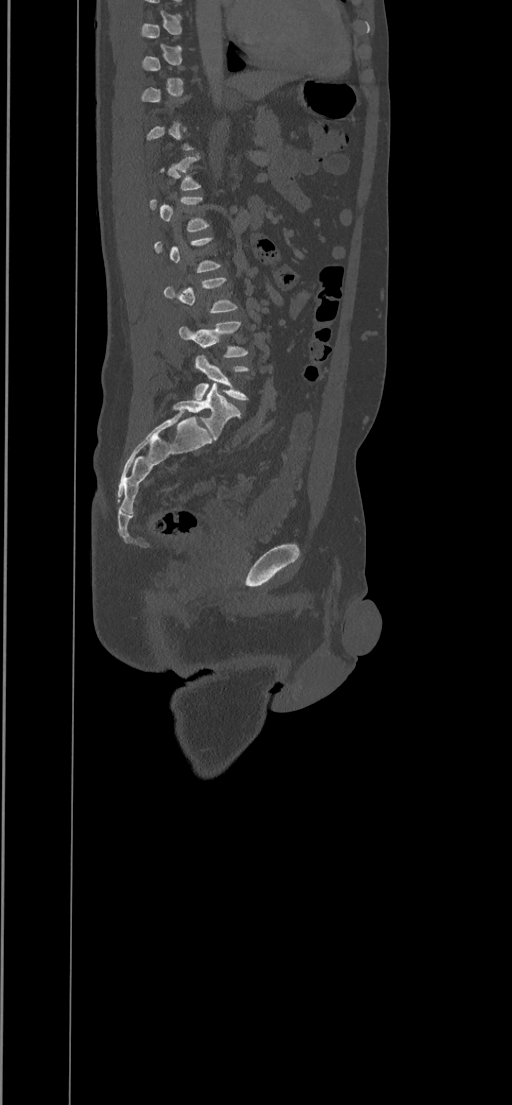
CT, spine. sagittal view. Boxes: x1:y1:x2:y2 in pixels.
Each vertebra is boxed only on the slices from the first to the last where its cross-section reaches a third of its largest, so a slice outside that range leaves it unboxed.
L3: 164:277:237:313
L4: 179:321:248:357
L5: 195:355:249:400